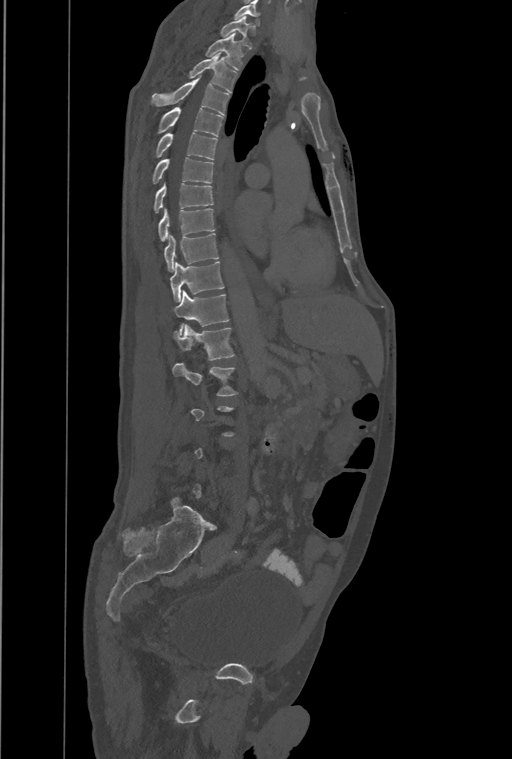 CT spine — 461 mm across the image — sagittal view — 512x759 px
Boxes: x1:y1:x2:y2 in pixels.
A vertebra is boxed only from the first to the last slice where its cross-section is at least a third of its largest; slices outside that range leave it without a box.
This scan's labels start at T1 at the top and end at L4 at the bottom.
The labels name an extra thoracic vertebra here, T13, which comes after T12 and before L1.
T1: 220:16:253:48
T2: 205:32:243:69
T3: 188:54:237:93
T4: 152:78:228:115
T5: 158:107:223:136
T6: 156:132:217:159
T7: 153:157:213:184
T8: 154:182:213:213
T9: 158:208:214:240
T10: 164:234:218:271
T11: 170:261:224:301
T12: 174:290:228:331
T13: 174:325:234:360
L1: 173:362:236:396